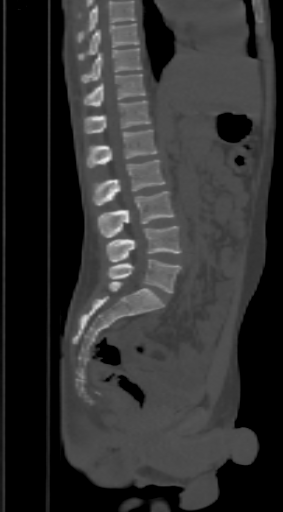

Spine CT; sagittal view; W/L 1800/400 HU
Boxes are (x1, y1, x2, y2) in pixels. A vertebra cut off by the top edge of the scan is not labeled and has no box. Vertebrae labeled: L5 at (106, 259, 181, 293), L4 at (106, 226, 181, 262), L3 at (98, 191, 175, 237), L2 at (92, 159, 164, 205), L1 at (87, 129, 156, 168), T12 at (84, 101, 150, 133), T11 at (84, 73, 145, 107), T10 at (81, 48, 142, 83), T9 at (78, 23, 139, 60).